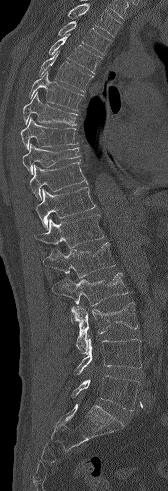
CT · sagittal view
Coordinates as <box>x1,y1,x2,y2</box>.
Where the top of the scan cuts through a vertebra, that vertebra gets no label or box.
T3: <box>58,21,111,55</box>
T4: <box>48,34,102,73</box>
T5: <box>39,51,93,91</box>
T6: <box>29,71,83,110</box>
T7: <box>23,92,77,125</box>
T8: <box>20,117,78,149</box>
T9: <box>22,144,80,174</box>
T10: <box>29,162,87,200</box>
T11: <box>35,187,95,229</box>
T12: <box>33,215,104,248</box>
L1: <box>43,242,115,277</box>
L2: <box>52,273,128,323</box>
L3: <box>71,302,137,353</box>
L4: <box>74,337,141,374</box>
L5: <box>71,375,140,410</box>